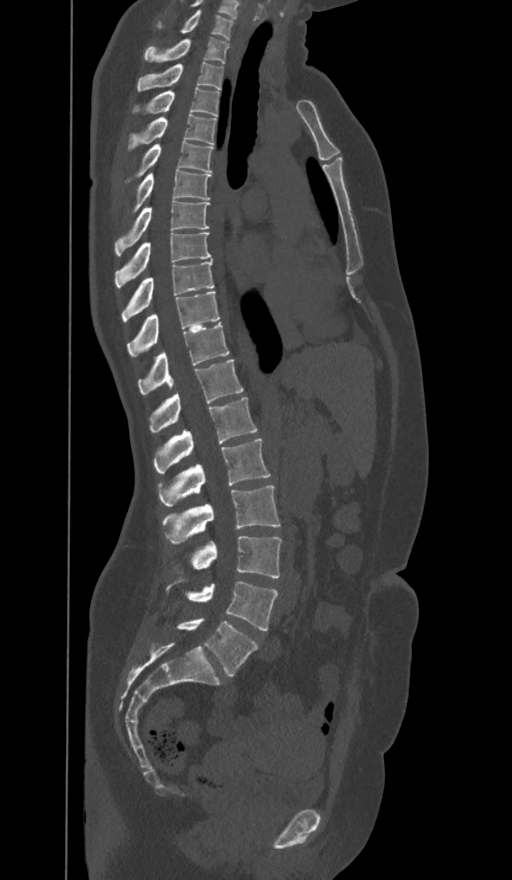
CT. sagittal view. Boxes: x1:y1:x2:y2 in pixels. These labels give the spine a sixth lumbar vertebra, L6, below L5. Vertebrae labeled: L6 at 178:619:258:677, L5 at 187:582:277:630, L4 at 193:536:281:578, L3 at 163:485:279:544, L2 at 160:439:270:505, L1 at 153:397:256:473, T12 at 149:360:242:433, T11 at 138:323:229:394, T10 at 127:291:219:356, T9 at 122:260:214:322, T8 at 115:233:211:287, T7 at 115:201:208:254, T6 at 135:169:210:208, T5 at 138:140:212:175, T4 at 128:113:215:149, T3 at 135:87:219:115, T2 at 138:63:223:90, T1 at 145:38:229:63, C7 at 156:9:233:40.